Computed tomography of the spine · image 228 mm wide · sagittal view
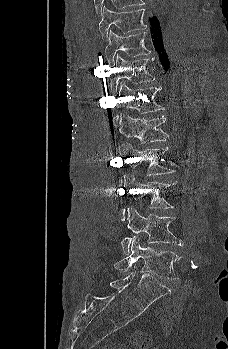

In the table, x1 and y1 are a box's top-left corner and x2 and y2 its bottom-right corner, in pixels.
| vertebra | x1 | y1 | x2 | y2 |
|---|---|---|---|---|
| L5 | 114 | 236 | 181 | 279 |
| L4 | 120 | 207 | 184 | 254 |
| L3 | 120 | 174 | 177 | 220 |
| L2 | 118 | 142 | 174 | 185 |
| L1 | 118 | 112 | 168 | 145 |
| T12 | 112 | 80 | 164 | 128 |
| T11 | 110 | 54 | 155 | 95 |
| T10 | 105 | 30 | 151 | 65 |
| T9 | 98 | 6 | 147 | 41 |